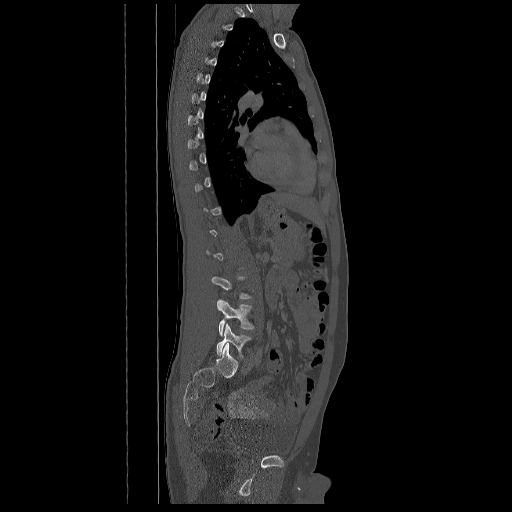
Computed tomography of the spine · sagittal reformat · Bone window (WL 400, WW 1800) · 512x512 px · the image is 672 mm wide

Each box given as x1,y1,x2,y2.
A vertebra is boxed only from the first to the last slice where its cross-section is at least a third of its largest; slices outside that range leave it without a box.
| vertebra | x1 | y1 | x2 | y2 |
|---|---|---|---|---|
| L4 | 217 | 299 | 253 | 336 |
| L5 | 216 | 324 | 251 | 357 |